CT, spine; sagittal reformat; Bone window (WL 400, WW 1800)
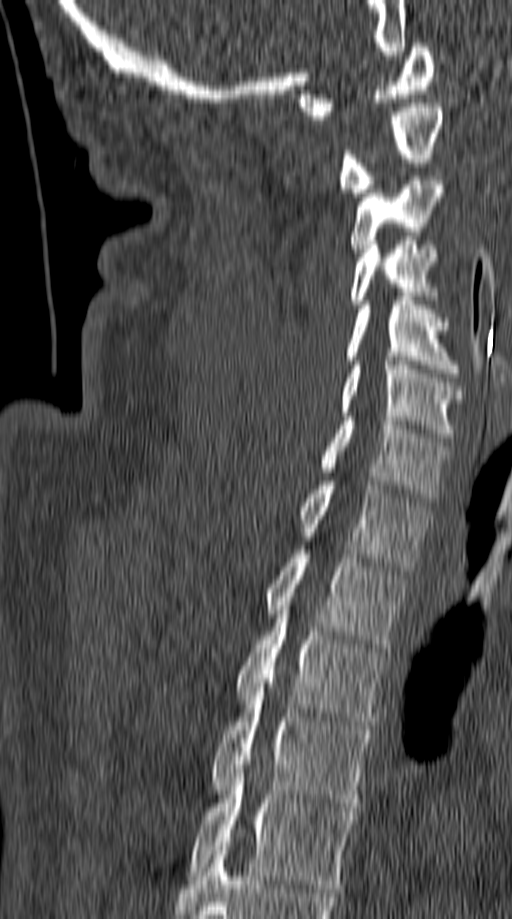
<vertebrae><v name="C1" x1="297" y1="43" x2="435" y2="119"/><v name="C2" x1="338" y1="103" x2="443" y2="192"/><v name="C3" x1="350" y1="176" x2="442" y2="252"/><v name="C4" x1="350" y1="241" x2="437" y2="304"/><v name="C5" x1="347" y1="296" x2="457" y2="377"/><v name="C6" x1="340" y1="361" x2="465" y2="437"/><v name="C7" x1="321" y1="417" x2="447" y2="502"/><v name="T1" x1="298" y1="481" x2="430" y2="570"/><v name="T2" x1="266" y1="550" x2="406" y2="648"/><v name="T3" x1="237" y1="597" x2="385" y2="725"/><v name="T4" x1="211" y1="683" x2="371" y2="807"/><v name="T5" x1="187" y1="769" x2="354" y2="892"/></vertebrae>